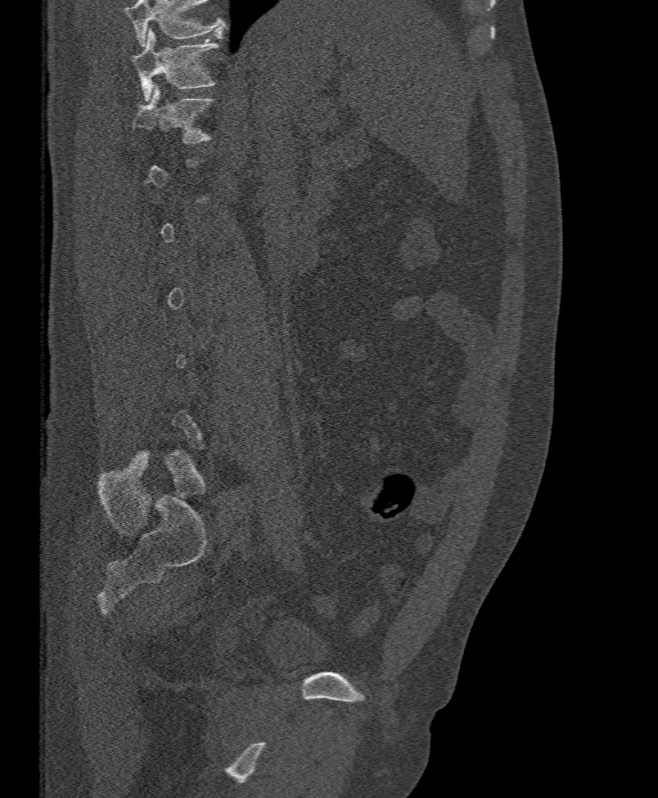 Spine computed tomography. sagittal view

A vertebra is boxed only from the first to the last slice where its cross-section is at least a third of its largest; slices outside that range leave it without a box.
No box is given to a vertebra that the top edge of the scan cuts off.
<vertebrae><v name="T12" x1="130" y1="85" x2="214" y2="144"/><v name="T11" x1="134" y1="28" x2="219" y2="101"/></vertebrae>